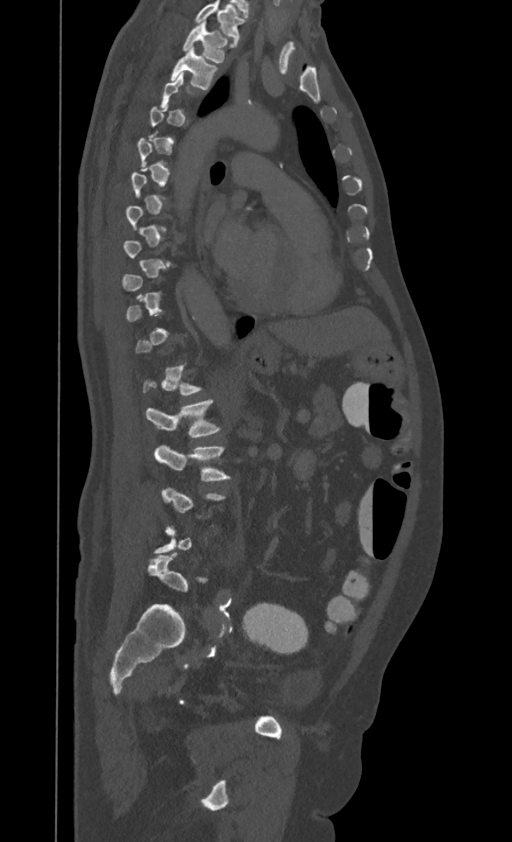

Spine computed tomography; sagittal view; bone-window reconstruction; 395 mm across the image
Coordinates as <box>x1,y1,x2,y2</box>.
A vertebra is boxed only from the first to the last slice where its cross-section is at least a third of its largest; slices outside that range leave it without a box.
In this scan, the topmost labeled vertebra is T1 and the lowest is L4.
T1: <box>183,21,228,62</box>
T2: <box>171,47,218,90</box>
L1: <box>145,399,219,436</box>
L2: <box>154,444,230,481</box>